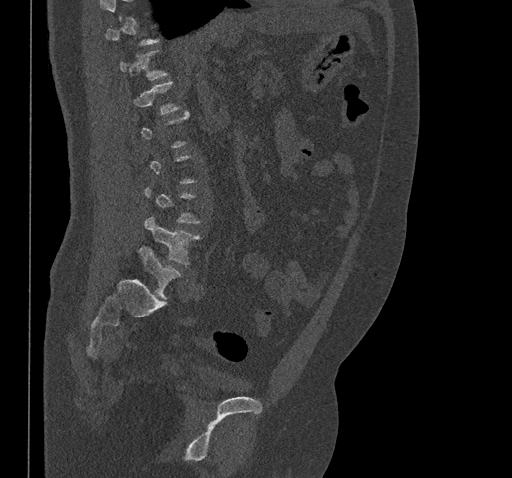
Spine CT. sagittal view. Bone window (WL 400, WW 1800)

Boxes: x1 y1 x2 y2 (pixel coords, space-separated).
A vertebra is boxed only from the first to the last slice where its cross-section is at least a third of its largest; slices outside that range leave it without a box.
Vertebra bounding boxes:
- T11: 120 50 167 79
- L4: 144 217 200 265
- L5: 139 246 181 299